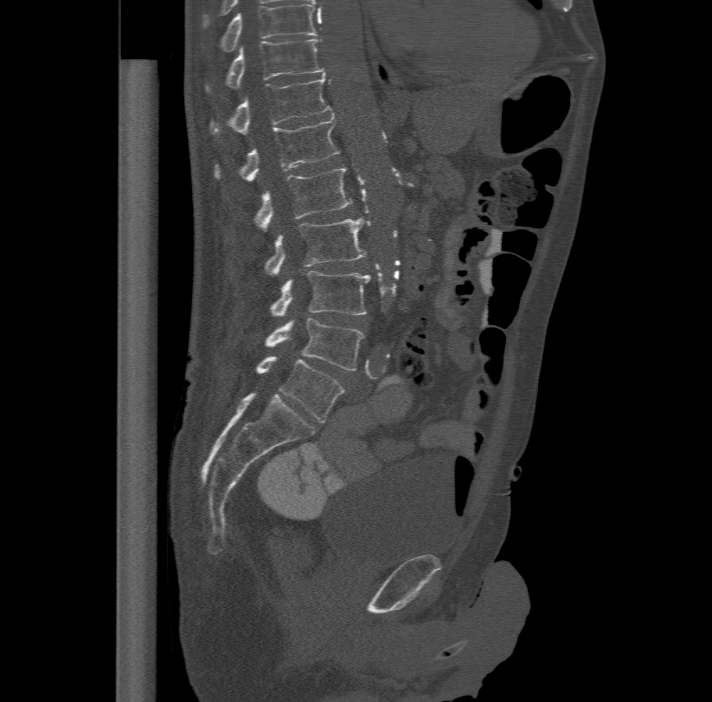 CT spine. sagittal view

Box edges are left/top/right/bottom in pixels.
In this scan, the topmost labeled vertebra is T11 and the lowest is L6.
The labels name a sixth lumbar vertebra for this spine: L6, after L5.
| vertebra | x1 | y1 | x2 | y2 |
|---|---|---|---|---|
| T11 | 206 | 37 | 324 | 90 |
| T12 | 210 | 73 | 331 | 135 |
| L1 | 216 | 115 | 340 | 179 |
| L2 | 256 | 167 | 352 | 230 |
| L3 | 266 | 218 | 366 | 275 |
| L4 | 270 | 270 | 370 | 315 |
| L5 | 266 | 318 | 363 | 370 |
| L6 | 257 | 356 | 344 | 422 |